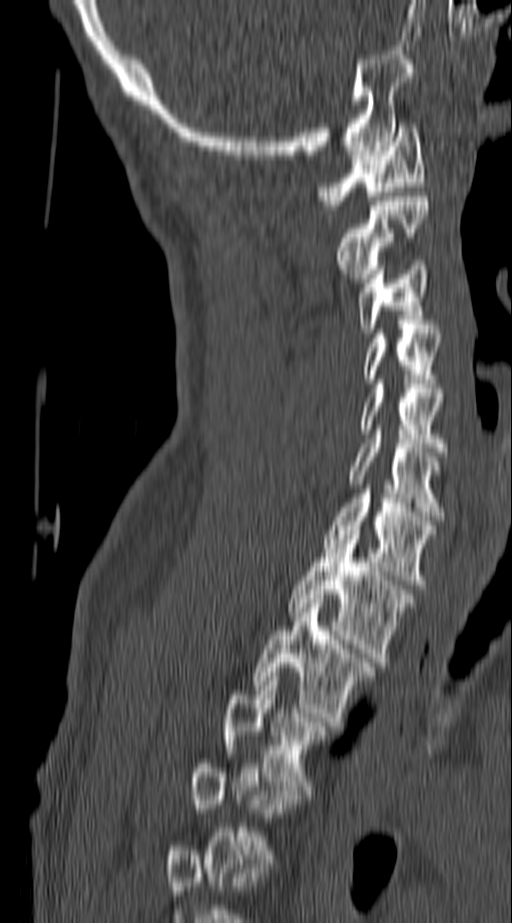 Computed tomography of the spine. image 140 mm wide. sagittal view. W/L 1800/400 HU
Each vertebra maps to its box as [x1, y1, x2, y2], the pixel coordinates of its top-left and bottom-right corners.
A vertebra gets a box only on the slices from the first to the last where its cross-section is at least a third of its largest; on a slice outside that range it gets none.
{"vertebrae":{"C1":[320,123,425,205],"C2":[338,197,428,282],"C3":[357,265,428,333],"C4":[363,329,439,383],"C5":[360,384,443,452],"C6":[349,434,443,520],"C7":[323,489,436,584],"T1":[288,530,414,662],"T2":[253,599,373,726],"T3":[224,672,326,794]}}